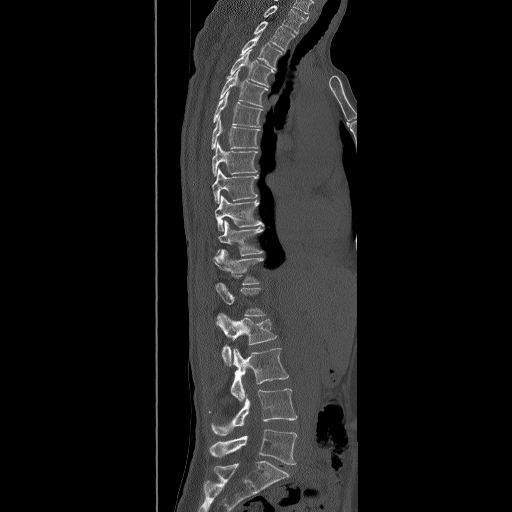
CT, spine · image 490 mm wide · sagittal view · Bone window (WL 400, WW 1800)
Each box given as x1,y1,x2,y2.
The highest labeled vertebra in this scan is T2; the lowest is L5.
| vertebra | x1 | y1 | x2 | y2 |
|---|---|---|---|---|
| T2 | 253 | 21 | 295 | 51 |
| T3 | 240 | 33 | 282 | 70 |
| T4 | 230 | 49 | 274 | 87 |
| T5 | 217 | 70 | 267 | 107 |
| T6 | 213 | 91 | 263 | 127 |
| T7 | 211 | 115 | 260 | 149 |
| T8 | 212 | 142 | 257 | 176 |
| T9 | 211 | 168 | 258 | 204 |
| T10 | 214 | 195 | 264 | 231 |
| T11 | 215 | 220 | 263 | 256 |
| T12 | 213 | 249 | 264 | 284 |
| L1 | 216 | 283 | 266 | 315 |
| L2 | 217 | 313 | 277 | 365 |
| L3 | 230 | 348 | 289 | 402 |
| L4 | 209 | 388 | 297 | 435 |
| L5 | 209 | 429 | 297 | 465 |